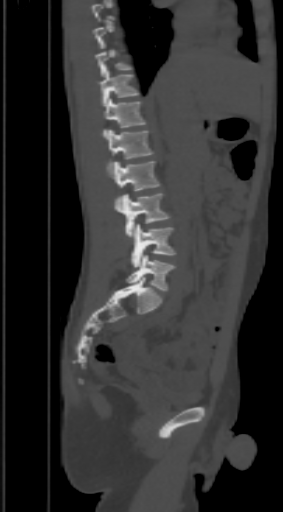
CT spine · sagittal view · bone-window reconstruction · the image spans 303 mm across
A vertebra gets a box only on the slices from the first to the last where its cross-section is at least a third of its largest; on a slice outside that range it gets none.
<vertebrae><v name="T10" x1="95" y1="42" x2="131" y2="76"/><v name="T11" x1="98" y1="68" x2="139" y2="106"/><v name="T12" x1="104" y1="98" x2="145" y2="137"/><v name="L1" x1="106" y1="129" x2="153" y2="158"/><v name="L2" x1="112" y1="161" x2="159" y2="191"/><v name="L3" x1="115" y1="193" x2="170" y2="237"/><v name="L4" x1="132" y1="224" x2="175" y2="267"/><v name="L5" x1="126" y1="254" x2="175" y2="290"/></vertebrae>